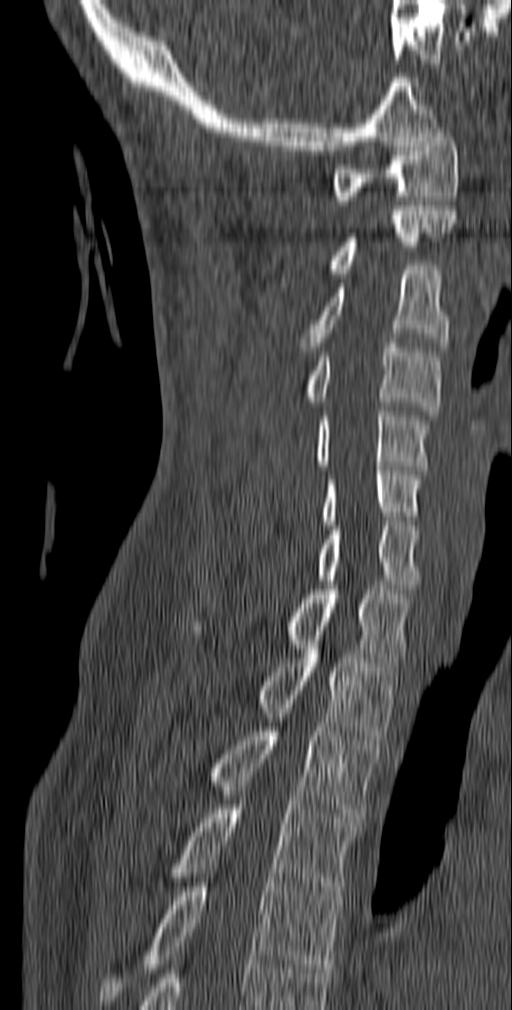

Computed tomography of the spine · the image is 140 mm wide · sagittal view. Box edges are left/top/right/bottom in pixels.
Vertebra bounding boxes:
- C1: left=330, top=128, right=459, bottom=205
- C2: left=327, top=206, right=456, bottom=273
- C3: left=298, top=265, right=449, bottom=351
- C4: left=303, top=343, right=441, bottom=415
- C5: left=316, top=407, right=432, bottom=470
- C6: left=323, top=466, right=423, bottom=525
- C7: left=317, top=521, right=420, bottom=593
- T1: left=191, top=585, right=411, bottom=666
- T2: left=259, top=640, right=397, bottom=740
- T3: left=210, top=727, right=381, bottom=822
- T4: left=172, top=805, right=357, bottom=900
- T5: left=99, top=878, right=340, bottom=1005